Spine CT. sagittal plane, index 32. 8 vertebrae labeled in this scan. image width 123 mm
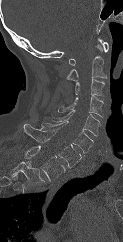
Boxes are (x1, y1, x2, y2) in pixels.
In this scan, the topmost labeled vertebra is C1 and the lowest is T1.
Vertebra bounding boxes:
- C1: (69, 38, 108, 65)
- C2: (66, 44, 106, 81)
- C3: (75, 79, 104, 96)
- C4: (58, 95, 103, 117)
- C5: (52, 110, 101, 136)
- C6: (38, 121, 93, 153)
- C7: (23, 124, 81, 167)
- T1: (24, 145, 65, 181)